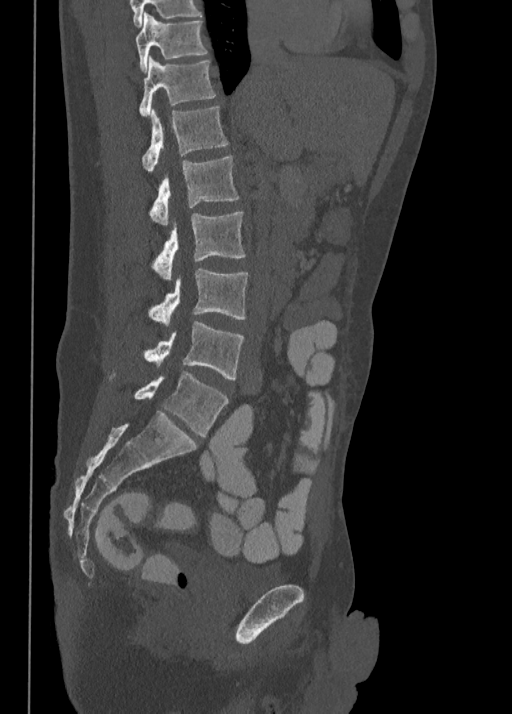
CT; sagittal reformat; image 350 mm wide; Bone window (WL 400, WW 1800)
<vertebrae><v name="T10" x1="136" y1="13" x2="206" y2="70"/><v name="T11" x1="139" y1="57" x2="215" y2="115"/><v name="T12" x1="142" y1="107" x2="228" y2="171"/><v name="L1" x1="149" y1="155" x2="239" y2="225"/><v name="L2" x1="152" y1="212" x2="245" y2="279"/><v name="L3" x1="149" y1="269" x2="247" y2="326"/><v name="L4" x1="143" y1="321" x2="243" y2="379"/><v name="L5" x1="134" y1="371" x2="228" y2="436"/></vertebrae>